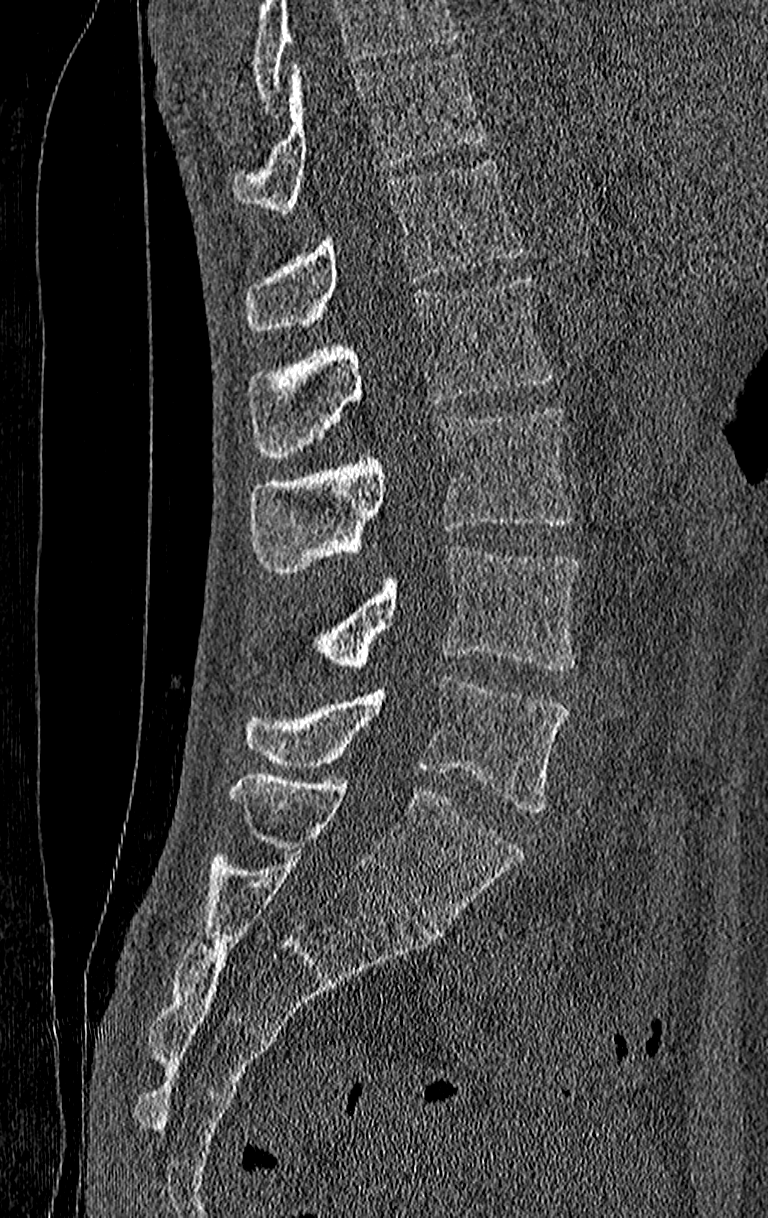

Spine computed tomography. the image is 210 mm wide. sagittal view. Bounding boxes as [x1, y1, x2, y2] in pixel coordinates.
No box is given to a vertebra that the top edge of the scan cuts off.
This scan's labels start at T11 at the top and end at L4 at the bottom.
T11: [233, 53, 484, 211]
T12: [244, 161, 524, 330]
L1: [247, 278, 554, 457]
L2: [251, 406, 572, 573]
L3: [313, 546, 579, 669]
L4: [244, 678, 568, 812]